CT spine. Sagittal slice 286/512. bone-window reconstruction. 17 vertebrae labeled in this scan. 412 mm across the image
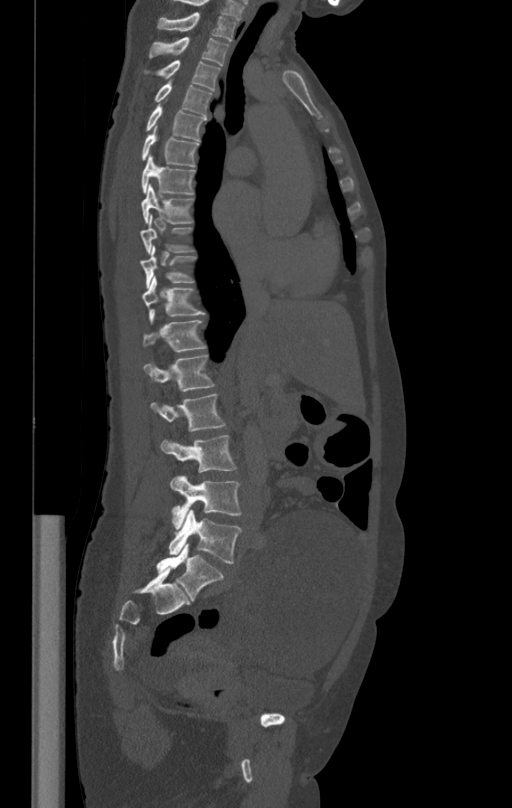 Box edges are left/top/right/bottom in pixels.
Vertebra bounding boxes:
- T1: left=158, top=12, right=237, bottom=42
- T2: left=149, top=37, right=229, bottom=65
- T3: left=144, top=60, right=220, bottom=91
- T4: left=155, top=82, right=213, bottom=115
- T5: left=146, top=105, right=206, bottom=140
- T6: left=142, top=126, right=199, bottom=167
- T7: left=142, top=155, right=195, bottom=194
- T8: left=142, top=185, right=193, bottom=224
- T9: left=140, top=216, right=194, bottom=254
- T10: left=140, top=246, right=196, bottom=286
- T11: left=142, top=277, right=205, bottom=321
- T12: left=143, top=317, right=206, bottom=351
- L1: left=144, top=353, right=215, bottom=390
- L2: left=150, top=394, right=225, bottom=431
- L3: left=160, top=435, right=236, bottom=472
- L4: left=170, top=475, right=241, bottom=529
- L5: left=169, top=509, right=241, bottom=563